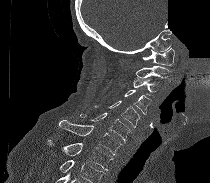 Spine CT — sagittal view — 210 mm wide — a region is blanked to uniform black, ending in a straight edge

Boxes below are [x1, y1, x2, y2] in pixels.
Vertebrae that run past the bottom of the scan are left unlabeled.
{"vertebrae":{"C1":[142,48,174,65],"C2":[135,66,170,78],"C3":[133,78,160,97],"C4":[124,90,151,114],"C5":[94,101,139,127],"C6":[80,112,131,143],"C7":[57,120,121,156],"T1":[46,140,113,170]}}